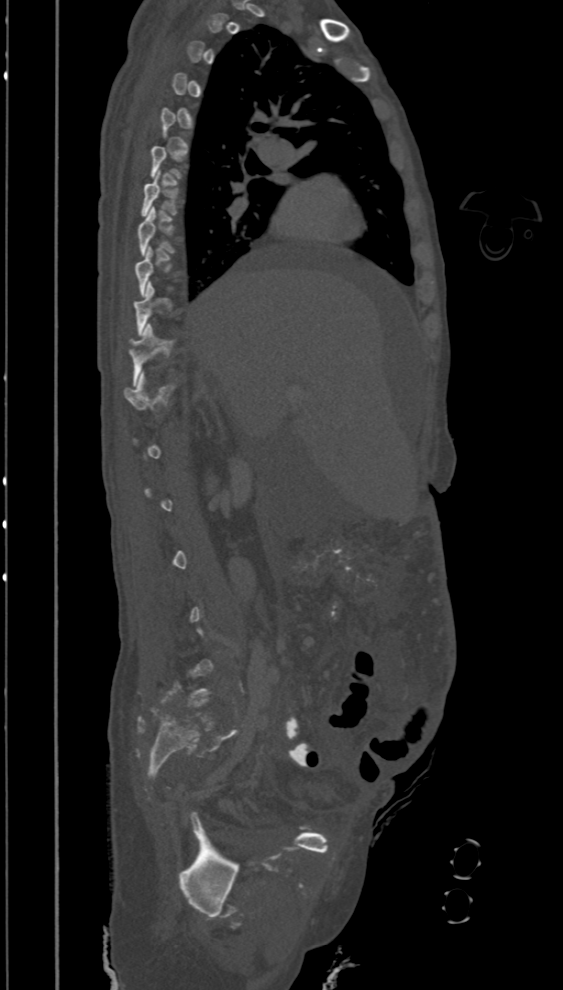 CT — sagittal view
Each vertebra is boxed only on the slices from the first to the last where its cross-section reaches a third of its largest, so a slice outside that range leaves it unboxed.
<vertebrae><v name="T7" x1="141" y1="172" x2="177" y2="216"/><v name="T11" x1="129" y1="323" x2="177" y2="385"/></vertebrae>